Computed tomography of the spine — sagittal plane, index 393 — bone window
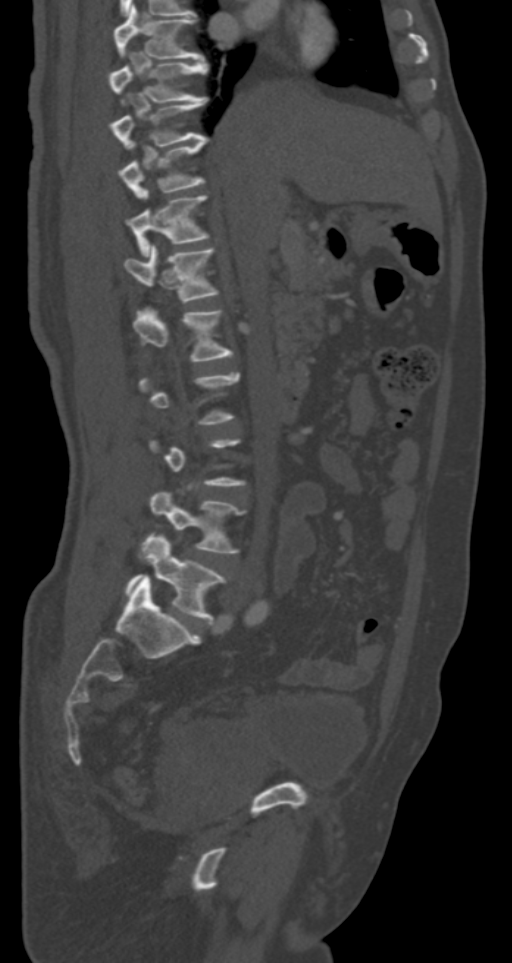 Boxes: x1:y1:x2:y2 in pixels. A vertebra gets a box only on the slices from the first to the last where its cross-section is at least a third of its largest; on a slice outside that range it gets none. 9 vertebrae labeled — T7 at 114:5:204:59; T8 at 108:60:207:103; T9 at 110:97:207:149; T10 at 117:137:207:198; T11 at 126:196:209:255; T12 at 124:244:218:302; L1 at 133:310:232:361; L4 at 149:491:243:553; L5 at 124:533:225:623.